Spine CT; sagittal plane, index 206; 512x905 px
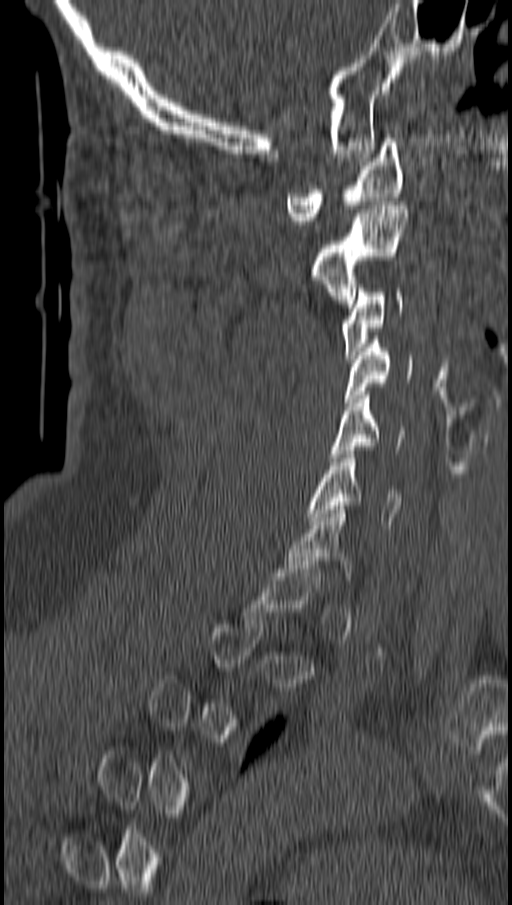

Boxes: x1 y1 x2 y2 (pixel coords, space-separated). A vertebra is boxed only from the first to the last slice where its cross-section is at least a third of its largest; slices outside that range leave it without a box. Vertebrae labeled: C1 at 287 138 403 224, C2 at 314 201 408 307, C3 at 342 284 402 362, C4 at 346 336 411 406, C5 at 330 391 405 461, C6 at 308 450 401 528.